Spine computed tomography. Sagittal slice 272/512. Bone window (WL 400, WW 1800). the image spans 412 mm across. 824x928 px
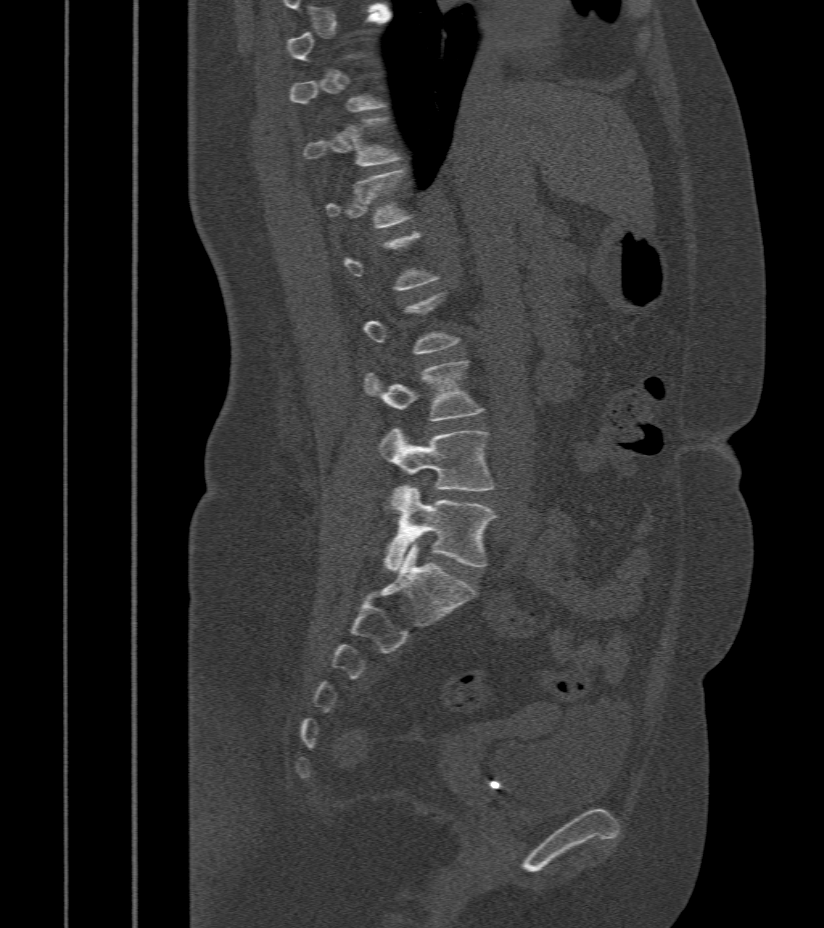
Boxes: x1 y1 x2 y2 (pixel coords, space-separated).
Not every vertebra on this slice has a box: a vertebra is boxed only from the first to the last slice where its cross-section is at least a third of its largest, and this slice is outside that range for at least one of them.
Vertebra bounding boxes:
- L5: 383 486 496 570
- L4: 380 429 495 490
- L3: 364 361 483 422